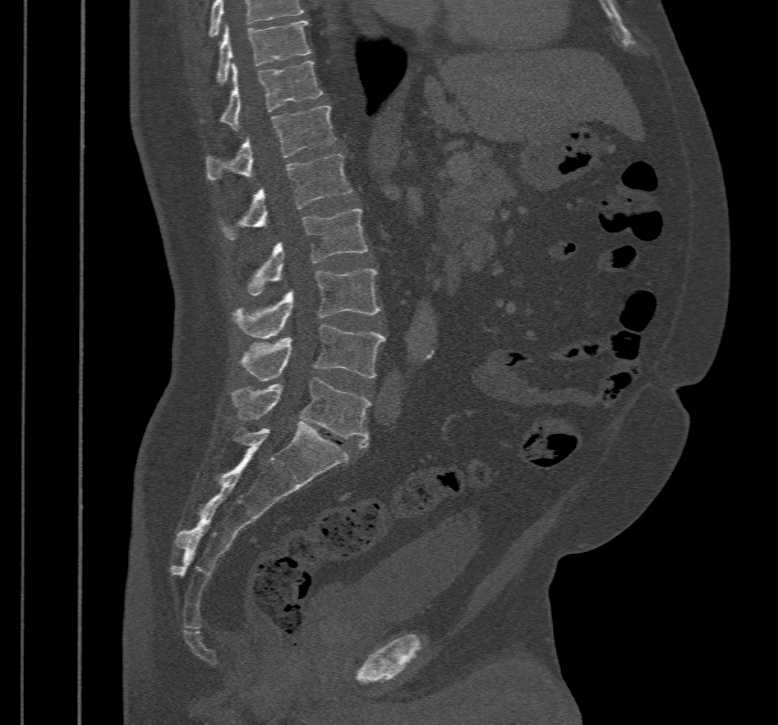
CT spine. 467 mm image width. sagittal view. 778x725 px

Each box given as x1,y1,x2,y2.
The highest labeled vertebra in this scan is T10; the lowest is L5.
T10: x1=216, y1=20, x2=311, y2=83
T11: x1=220, y1=60, x2=323, y2=129
T12: x1=207, y1=105, x2=335, y2=179
L1: x1=223, y1=154, x2=352, y2=239
L2: x1=248, y1=209, x2=367, y2=294
L3: x1=233, y1=268, x2=381, y2=338
L4: x1=240, y1=324, x2=385, y2=380
L5: x1=231, y1=377, x2=370, y2=448